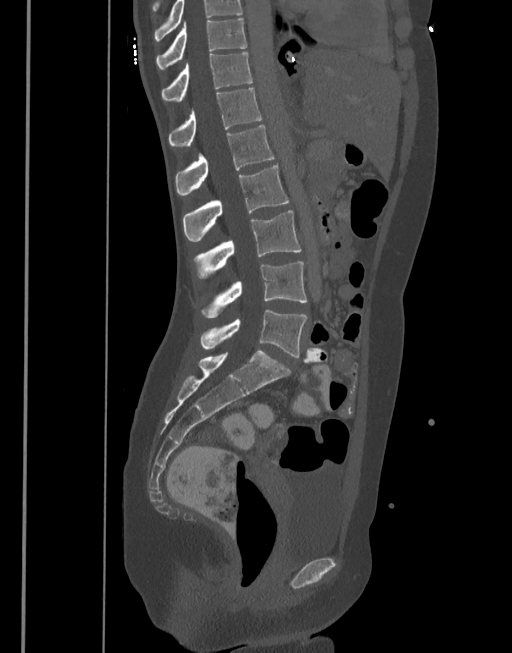
Computed tomography of the spine · sagittal reformat. Each box given as x1,y1,x2,y2.
Labels in this scan begin with T10 at the top and end with L5 at the bottom.
T10: x1=156, y1=18, x2=247, y2=69
T11: x1=161, y1=53, x2=253, y2=100
T12: x1=168, y1=88, x2=262, y2=146
L1: x1=175, y1=125, x2=275, y2=196
L2: x1=183, y1=165, x2=288, y2=242
L3: x1=193, y1=210, x2=301, y2=279
L4: x1=200, y1=262, x2=307, y2=318
L5: x1=199, y1=309, x2=307, y2=357